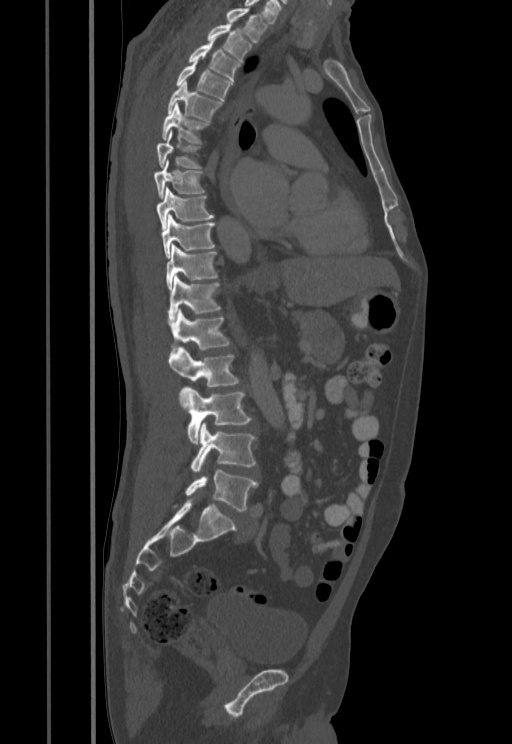 Computed tomography of the spine. sagittal view
Each box is [x1, y1, x2, y2] in pixels: top-left corner, then bottom-right corner.
{"vertebrae":{"T1":[226,8,267,43],"T2":[207,24,251,62],"T3":[188,41,240,81],"T4":[175,63,233,100],"T5":[168,82,222,121],"T6":[162,104,208,144],"T7":[156,131,200,168],"T8":[154,160,204,199],"T9":[156,187,214,228],"T10":[162,214,215,258],"T11":[166,245,217,289],"T12":[169,274,219,320],"L1":[169,308,230,351],"L2":[169,347,239,386],"L3":[179,387,251,443],"L4":[190,422,255,472],"L5":[186,470,258,511]}}